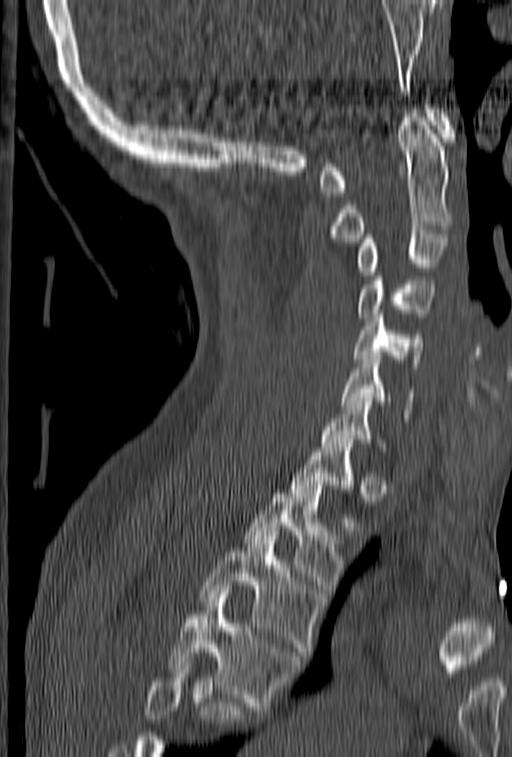 Spine CT — sagittal view — W/L 1800/400 HU
Each vertebra maps to its box as [x1, y1, x2, y2], the pixel coordinates of its top-left and bottom-right corners.
Vertebrae that run past the bottom of the scan are left unlabeled.
{"vertebrae":{"C1":[319,105,455,196],"C2":[331,109,453,242],"C3":[356,230,449,279],"C4":[356,264,435,321],"C5":[353,310,422,367],"C6":[343,356,414,421],"C7":[320,389,385,451],"T1":[288,443,363,530],"T2":[244,485,345,593],"T3":[199,531,321,660],"T4":[167,590,301,710]}}